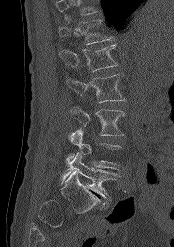 CT · sagittal view
Each box given as x1,y1,x2,y2.
Where the top of the scan cuts through a vertebra, that vertebra gets no label or box.
T12: x1=58, y1=17, x2=114, y2=44
L1: x1=59, y1=44, x2=118, y2=72
L2: x1=67, y1=74, x2=125, y2=102
L3: x1=70, y1=106, x2=125, y2=135
L4: x1=66, y1=128, x2=121, y2=169
L5: x1=61, y1=153, x2=117, y2=200